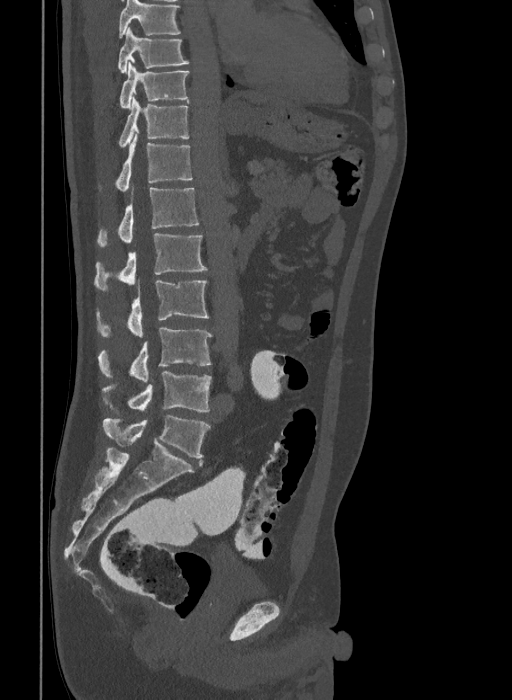
Spine CT · sagittal view · 512x700 px

Boxes below are [x1, y1, x2, y2] in pixels.
The highest labeled vertebra in this scan is T9; the lowest is L6.
In these labels the spine has an L6, a sixth lumbar vertebra below L5.
{"vertebrae":{"T9":[118,27,189,73],"T10":[119,62,189,108],"T11":[119,97,189,147],"T12":[115,134,192,191],"L1":[98,188,199,247],"L2":[94,233,207,291],"L3":[96,281,209,337],"L4":[98,327,212,382],"L5":[103,371,212,411],"L6":[103,415,210,458]}}